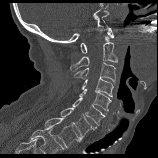
Spine computed tomography — sagittal view — bone-window reconstruction — 158x158 px
Box values are [left, top, right, bottom] in pixels.
In this scan, the topmost labeled vertebra is C1 and the lowest is T1.
{"vertebrae":{"C1":[80,27,114,53],"C2":[70,42,117,70],"C3":[73,62,115,84],"C4":[82,78,113,97],"C5":[79,89,111,111],"C6":[72,97,105,125],"C7":[60,108,96,137],"T1":[44,117,81,147]}}